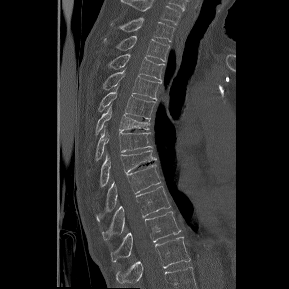 Spine CT · sagittal reformat · 289x289 px

Boxes: x1:y1:x2:y2 in pixels.
This scan's labels start at T1 at the top and end at T12 at the bottom.
T1: 111:17:174:41
T2: 104:36:170:61
T3: 108:54:164:80
T4: 103:68:161:99
T5: 99:92:155:119
T6: 95:105:149:134
T7: 96:130:152:159
T8: 100:150:157:186
T9: 96:163:161:220
T10: 102:185:170:242
T11: 111:211:181:262
T12: 116:237:190:283